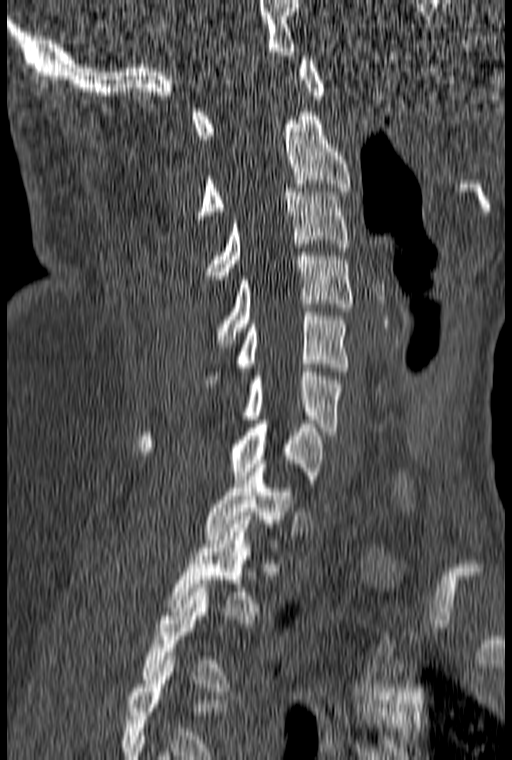 Computed tomography of the spine. sagittal view. W/L 1800/400 HU
Boxes: x1 y1 x2 y2 (pixel coords, space-separated). The highest labeled vertebra in this scan is C1; the lowest is T3. The labeled vertebrae in this slice are: T3 at 142 584 227 691, T2 at 168 520 259 623, T1 at 203 464 294 559, C7 at 138 420 324 487, C6 at 242 368 343 435, C5 at 201 308 349 387, C4 at 216 252 352 347, C3 at 206 188 349 283, C2 at 199 112 350 219, C1 at 192 56 325 139.